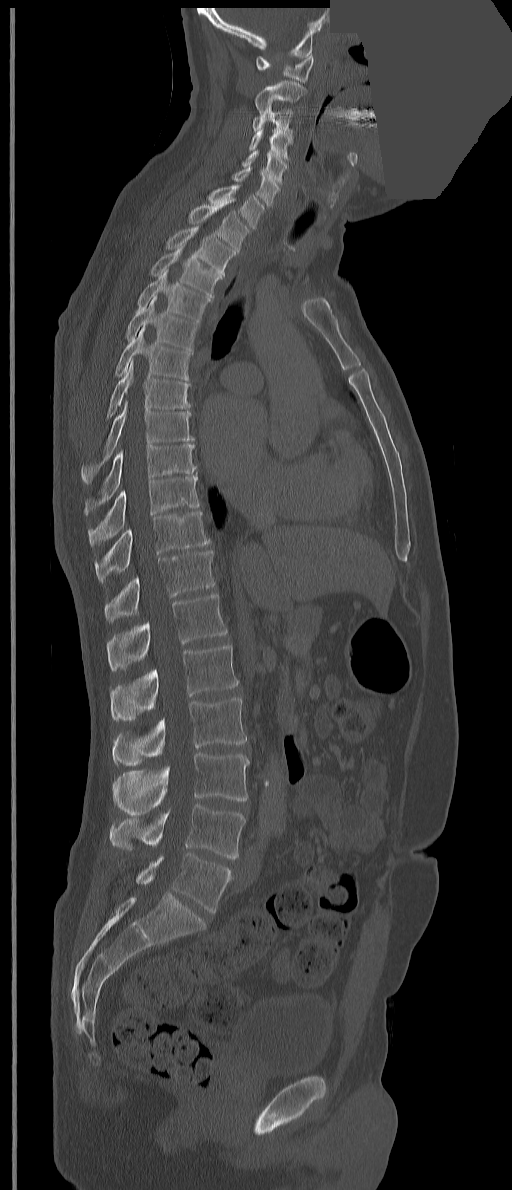
Spine CT. sagittal view. bone window. part of the image has been replaced by a constant value

Each box given as x1,y1,x2,y2.
In these labels the spine has a T13, a thirteenth thoracic vertebra, between T12 and L1.
C1: x1=256, y1=54, x2=313, y2=83
C2: x1=254, y1=80, x2=306, y2=113
C3: x1=253, y1=105, x2=293, y2=140
C4: x1=248, y1=128, x2=292, y2=159
C5: x1=242, y1=149, x2=287, y2=184
C6: x1=231, y1=167, x2=279, y2=206
C7: x1=207, y1=184, x2=264, y2=228
T1: x1=187, y1=197, x2=248, y2=250
T2: x1=165, y1=226, x2=236, y2=277
T3: x1=149, y1=242, x2=222, y2=298
T4: x1=137, y1=269, x2=210, y2=322
T5: x1=125, y1=294, x2=199, y2=355
T6: x1=115, y1=326, x2=190, y2=380
T7: x1=107, y1=359, x2=190, y2=418
T8: x1=80, y1=401, x2=194, y2=483
T9: x1=85, y1=444, x2=196, y2=514
T10: x1=88, y1=472, x2=199, y2=546
T11: x1=95, y1=511, x2=209, y2=583
T12: x1=104, y1=550, x2=215, y2=622
T13: x1=107, y1=594, x2=227, y2=670
L1: x1=110, y1=645, x2=238, y2=720
L2: x1=112, y1=697, x2=246, y2=765
L3: x1=113, y1=753, x2=249, y2=814
L4: x1=110, y1=804, x2=246, y2=858
L5: x1=136, y1=853, x2=231, y2=912